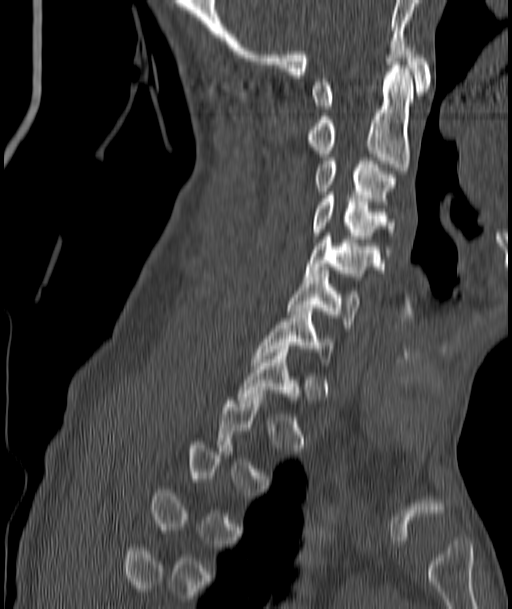
Computed tomography of the spine. sagittal view. W/L 1800/400 HU
Each vertebra maps to its box as [x1, y1, x2, y2], the pixel coordinates of its top-left and bottom-right corners.
Not every vertebra on this slice has a box: a vertebra is boxed only from the first to the last slice where its cross-section is at least a third of its largest, and this slice is outside that range for at least one of them.
{"vertebrae":{"C7":[253,308,331,362],"C6":[288,270,359,328],"C5":[305,233,379,276],"C4":[313,192,394,252],"C3":[316,161,394,204],"C2":[308,65,413,174],"C1":[313,44,430,109]}}